CT spine · Sagittal slice 240/512 · 607x607 px · 486 mm across the image · 10 vertebrae labeled in this scan
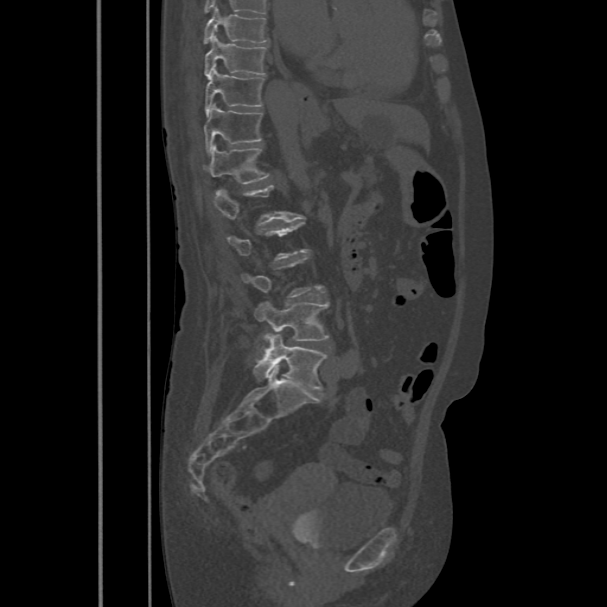
Coordinates as <box>x1,y1,x2,y2</box>. A vertebra is boxed only from the first to the last slice where its cross-section is at least a third of its largest; slices outside that range leave it without a box. 8 vertebrae labeled — T8 at <box>203,7,268,44</box>; T9 at <box>204,36,266,79</box>; T10 at <box>205,67,264,115</box>; T11 at <box>204,103,262,154</box>; T12 at <box>205,145,269,184</box>; L1 at <box>212,185,296,225</box>; L4 at <box>254,302,329,351</box>; L5 at <box>253,333,326,390</box>.